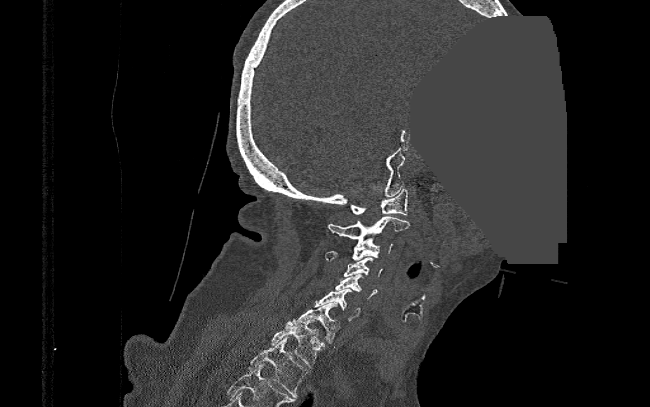

Spine CT. 390 mm wide. sagittal view. bone window. 650x407 px. part of the image has been replaced by a constant value
Boxes are (x1, y1, x2, y2) in pixels. 9 vertebrae labeled — T2 at (248, 337, 308, 397); T1 at (272, 319, 324, 366); C7 at (293, 302, 341, 343); C6 at (314, 288, 361, 320); C5 at (334, 273, 377, 298); C4 at (343, 257, 382, 276); C3 at (325, 239, 393, 261); C2 at (328, 216, 409, 242); C1 at (350, 189, 407, 215).